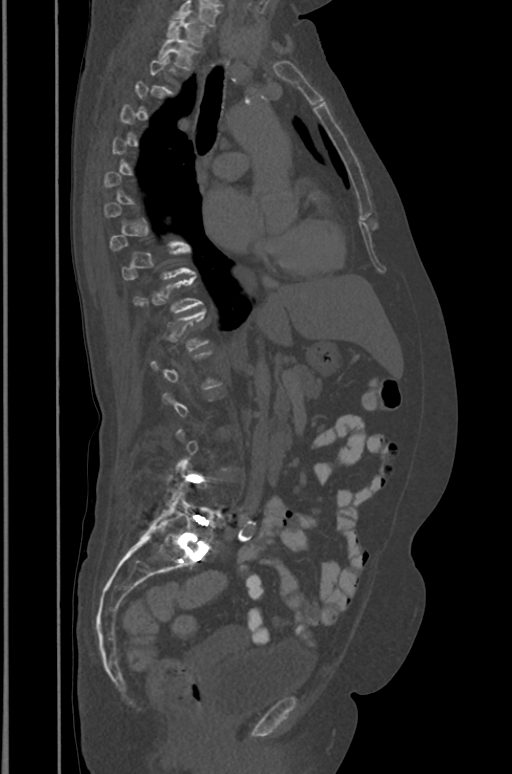
Computed tomography of the spine — the image is 391 mm wide — sagittal view — bone window

Boxes are (x1, y1, x2, y2) in pixels.
Each vertebra is boxed only on the slices from the first to the last where its cross-section reaches a third of its largest, so a slice outside that range leaves it unboxed.
The highest labeled vertebra in this scan is T1; the lowest is L5.
T1: (166, 14, 207, 45)
T2: (158, 34, 197, 69)
T11: (134, 275, 202, 312)
L5: (153, 486, 217, 547)